CT spine. sagittal plane, index 238. W/L 1800/400 HU. scan covers 18 annotated vertebrae. 350 mm wide
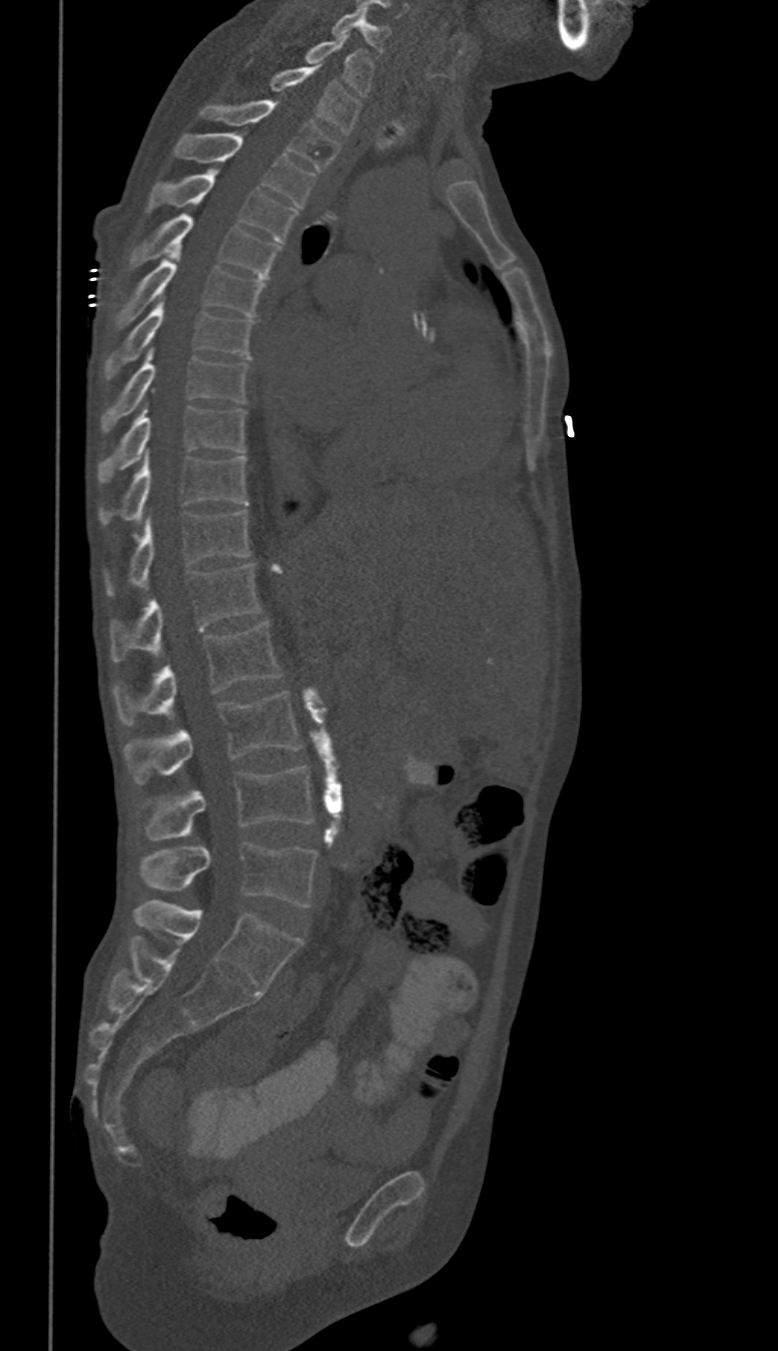 In these labels the thoracic vertebrae end at T11, so L1 follows T11.
<vertebrae><v name="L5" x1="140" y1="843" x2="318" y2="906"/><v name="L4" x1="141" y1="765" x2="312" y2="839"/><v name="L3" x1="125" y1="692" x2="301" y2="784"/><v name="L2" x1="112" y1="620" x2="282" y2="726"/><v name="L1" x1="111" y1="563" x2="259" y2="662"/><v name="T11" x1="106" y1="509" x2="250" y2="595"/><v name="T10" x1="100" y1="454" x2="248" y2="524"/><v name="T9" x1="97" y1="403" x2="245" y2="484"/><v name="T8" x1="102" y1="349" x2="248" y2="433"/><v name="T7" x1="105" y1="298" x2="253" y2="379"/><v name="T6" x1="115" y1="247" x2="263" y2="328"/><v name="T5" x1="129" y1="214" x2="279" y2="277"/><v name="T4" x1="146" y1="169" x2="297" y2="242"/><v name="T3" x1="173" y1="134" x2="313" y2="206"/><v name="T2" x1="202" y1="100" x2="339" y2="171"/><v name="T1" x1="270" y1="65" x2="361" y2="135"/><v name="C7" x1="307" y1="34" x2="374" y2="95"/><v name="C6" x1="333" y1="8" x2="389" y2="53"/></vertebrae>